CT — sagittal plane, index 122 — bone-window reconstruction — image 222 mm wide
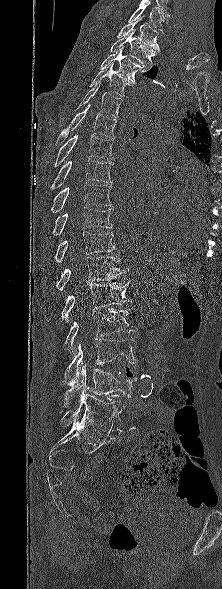 Box values are [left, top, right, bottom] in pixels.
Labels in this scan begin with T1 at the top and end with L5 at the bottom.
{"vertebrae":{"T1":[116,17,160,51],"T2":[110,30,155,69],"T3":[100,46,148,82],"T4":[90,62,134,96],"T5":[76,81,123,117],"T6":[56,103,117,144],"T7":[53,134,113,167],"T8":[49,159,112,190],"T9":[50,183,111,212],"T10":[52,207,112,235],"T11":[54,231,117,262],"T12":[44,257,123,290],"L1":[61,280,131,322],"L2":[63,308,137,354],"L3":[61,339,135,384],"L4":[63,364,137,407],"L5":[60,393,124,431]}}